Spine CT; sagittal view; bone-window reconstruction; 17 vertebrae labeled in this scan
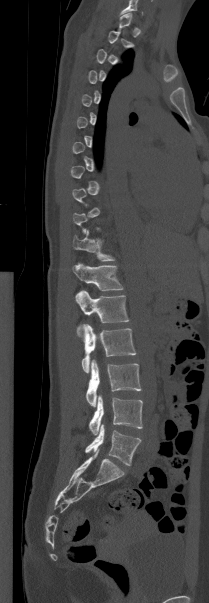

A vertebra gets a box only on the slices from the first to the last where its cross-section is at least a third of its largest; on a slice outside that range it gets none.
<vertebrae><v name="L5" x1="85" y1="424" x2="140" y2="465"/><v name="L4" x1="89" y1="395" x2="142" y2="435"/><v name="L3" x1="86" y1="359" x2="141" y2="406"/><v name="L2" x1="81" y1="324" x2="136" y2="372"/><v name="L1" x1="75" y1="290" x2="129" y2="329"/><v name="T12" x1="73" y1="263" x2="123" y2="291"/><v name="T11" x1="73" y1="230" x2="114" y2="261"/></vertebrae>